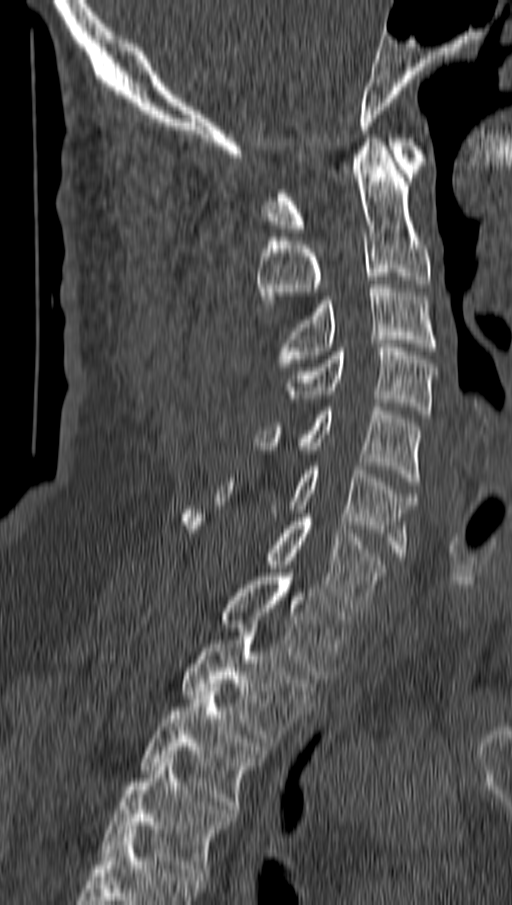
CT, spine. sagittal reformat
Box edges are left/top/right/bottom in pixels.
C1: left=263, top=138, right=425, bottom=232
C2: left=257, top=138, right=430, bottom=311
C3: left=277, top=284, right=436, bottom=366
C4: left=286, top=344, right=436, bottom=418
C5: left=253, top=407, right=420, bottom=485
C6: left=217, top=466, right=417, bottom=560
C7: left=181, top=510, right=386, bottom=611
T1: left=222, top=569, right=351, bottom=679
T2: left=181, top=628, right=313, bottom=746
T3: left=140, top=687, right=266, bottom=809
T4: left=102, top=759, right=234, bottom=880